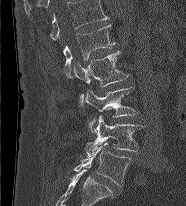
Spine computed tomography — sagittal view
Boxes: x1 y1 x2 y2 (pixel coords, space-separated).
The highest labeled vertebra in this scan is L1; the lowest is L5.
L1: 63 24 115 77
L2: 73 51 129 105
L3: 86 87 139 132
L4: 86 116 145 157
L5: 73 142 131 186